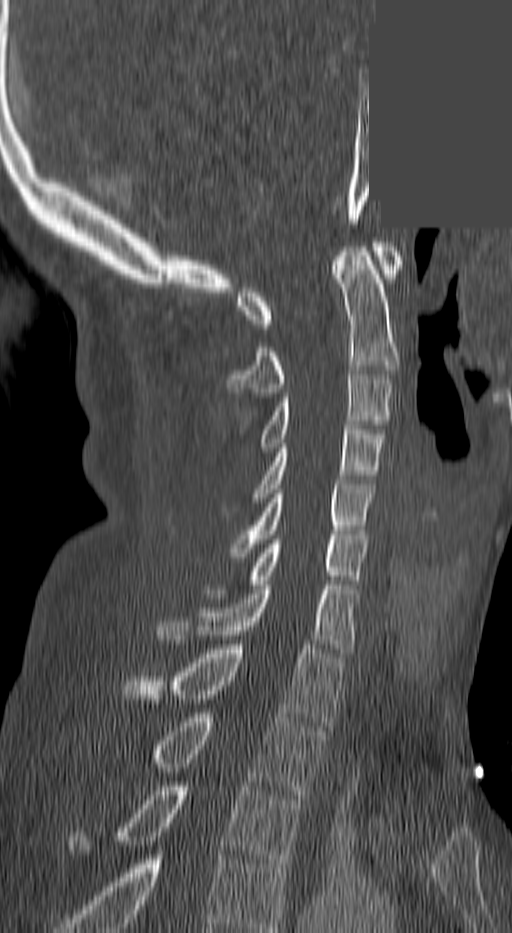

CT. sagittal reformat. the image spans 140 mm across. bone window. 512x933 px. part of the image is a flat gray fill, not anatomy
Boxes: x1:y1:x2:y2 in pixels.
In this scan, the topmost labeled vertebra is C1 and the lowest is T3.
Vertebra bounding boxes:
- C1: 239:242:403:328
- C2: 228:247:399:397
- C3: 261:370:392:452
- C4: 252:425:384:502
- C5: 232:480:373:557
- C6: 250:539:366:584
- C7: 159:585:355:648
- T1: 122:645:340:726
- T2: 148:713:323:799
- T3: 67:786:304:868